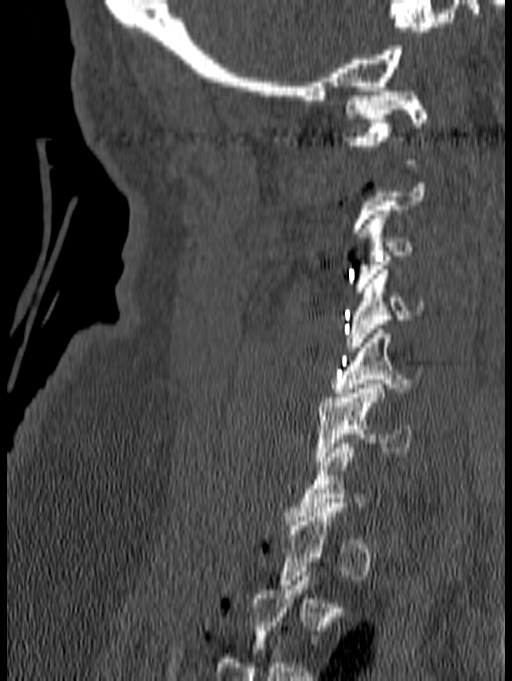 Spine CT — sagittal view — Bone window (WL 400, WW 1800) — 140 mm wide
Each box is [x1, y1, x2, y2] in pixels: top-left corner, then bottom-right corner.
A vertebra gets a box only on the slices from the first to the last where its cross-section is at least a third of its largest; on a slice outside that range it gets none.
{"vertebrae":{"C1":[343,87,427,164],"C3":[354,210,413,292],"C4":[345,270,426,351],"C5":[330,329,420,397],"C6":[315,384,414,465]}}